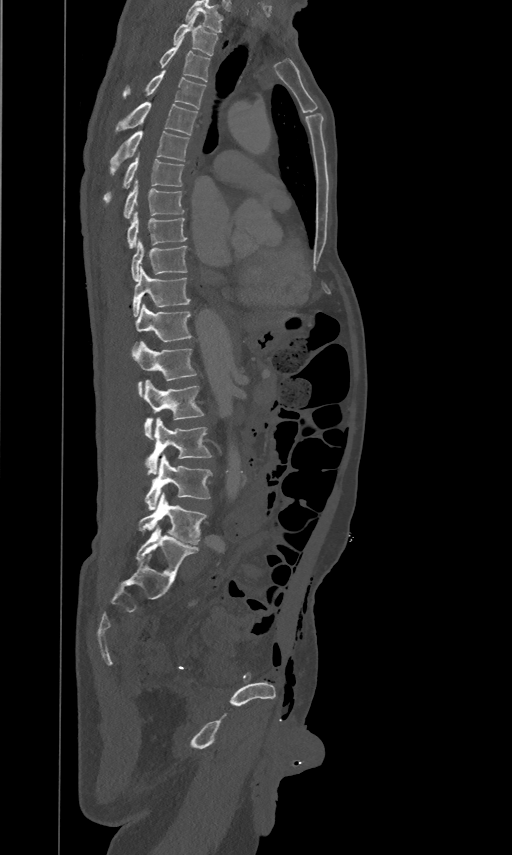

CT spine; sagittal view; 512x855 px
Each vertebra maps to its box as [x1, y1, x2, y2], the pixel coordinates of its top-left and bottom-right corners.
Labels in this scan begin with T2 at the top and end with L5 at the bottom.
{"vertebrae":{"T2":[173,13,217,56],"T3":[159,37,210,82],"T4":[123,69,205,109],"T5":[116,101,197,135],"T6":[110,130,189,174],"T7":[104,155,183,202],"T8":[123,179,183,218],"T9":[127,211,187,246],"T10":[131,240,187,280],"T11":[132,266,190,316],"T12":[135,303,191,341],"L1":[132,340,197,396],"L2":[144,379,203,439],"L3":[145,417,211,474],"L4":[145,454,212,510],"L5":[139,493,206,544]}}